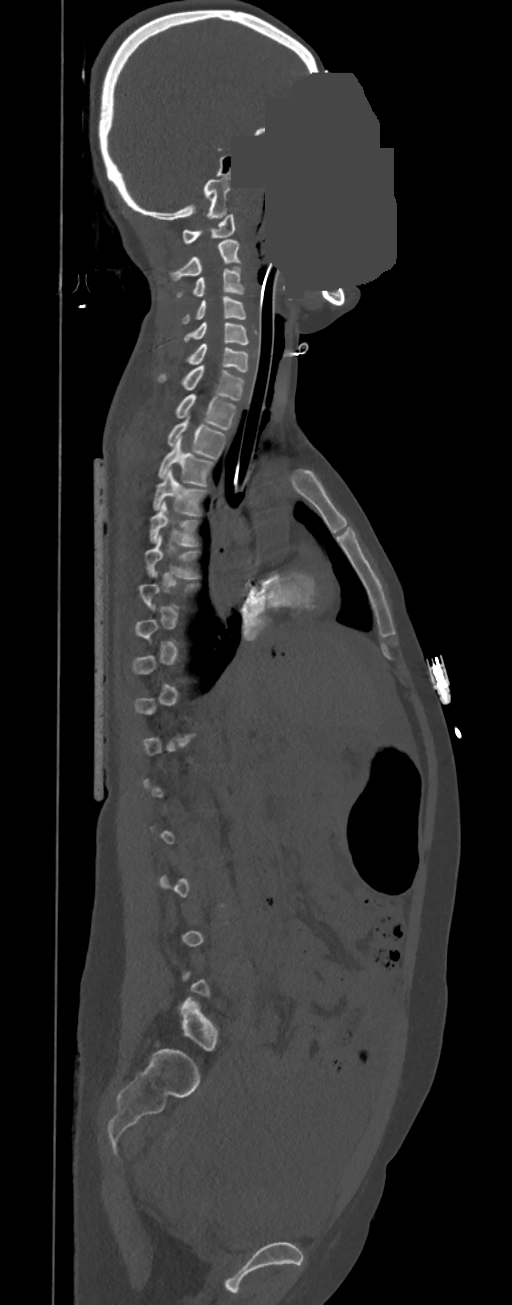
Computed tomography of the spine; sagittal view; 512x1305 px; a region of this slice is masked with a uniform fill
A vertebra is boxed only from the first to the last slice where its cross-section is at least a third of its largest; slices outside that range leave it without a box.
<vertebrae><v name="C1" x1="182" y1="215" x2="235" y2="244"/><v name="C2" x1="169" y1="240" x2="240" y2="279"/><v name="C3" x1="175" y1="267" x2="245" y2="297"/><v name="C4" x1="181" y1="296" x2="246" y2="324"/><v name="C5" x1="183" y1="321" x2="249" y2="344"/><v name="C6" x1="186" y1="344" x2="248" y2="372"/><v name="C7" x1="158" y1="365" x2="245" y2="401"/><v name="T1" x1="175" y1="394" x2="236" y2="430"/><v name="T2" x1="167" y1="416" x2="226" y2="458"/><v name="T3" x1="158" y1="437" x2="214" y2="486"/><v name="T4" x1="152" y1="469" x2="206" y2="516"/><v name="T5" x1="149" y1="500" x2="198" y2="545"/><v name="T6" x1="145" y1="536" x2="199" y2="578"/></vertebrae>